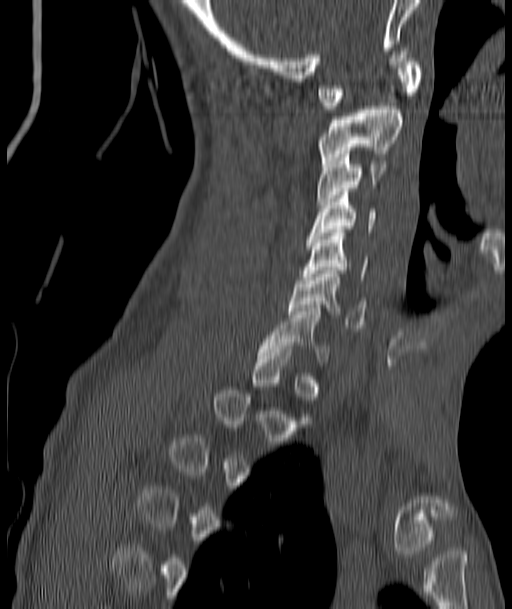

Spine CT. sagittal view. Boxes: x1:y1:x2:y2 in pixels. A vertebra gets a box only on the slices from the first to the last where its cross-section is at least a third of its largest; on a slice outside that range it gets none. Vertebrae labeled: C7 at 261:308:330:365, C6 at 288:270:367:328, C5 at 302:229:367:280, C4 at 307:192:375:239, C3 at 316:151:386:204, C2 at 318:106:402:163, C1 at 318:55:419:109.